Computed tomography of the spine · sagittal plane, index 333 · Bone window (WL 400, WW 1800) · 512x681 px
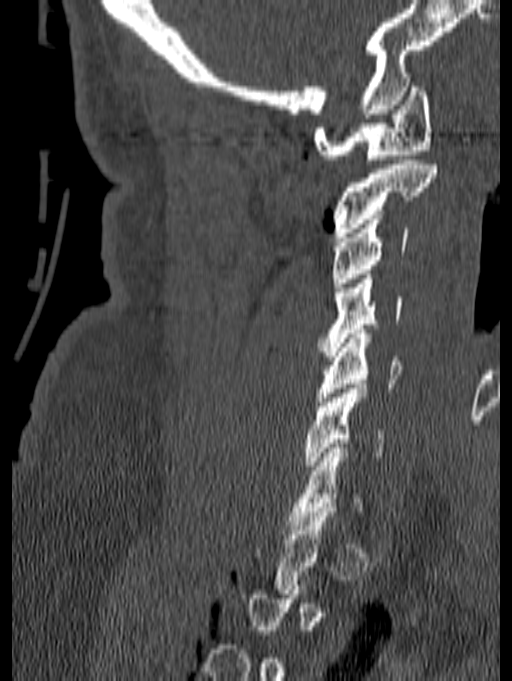

Boxes are given in columns x1, y1, x2, y2, the pixel coordinates of their top-left and bottom-right corners.
A vertebra is boxed only from the first to the last slice where its cross-section is at least a third of its largest; slices outside that range leave it without a box.
| vertebra | x1 | y1 | x2 | y2 |
|---|---|---|---|---|
| C6 | 305 | 384 | 385 | 470 |
| C5 | 316 | 329 | 402 | 406 |
| C4 | 318 | 274 | 403 | 356 |
| C3 | 331 | 219 | 409 | 287 |
| C2 | 332 | 160 | 436 | 237 |
| C1 | 313 | 82 | 432 | 159 |